Computed tomography of the spine. Sagittal slice 279/512. W/L 1800/400 HU. 10 vertebrae labeled in this scan
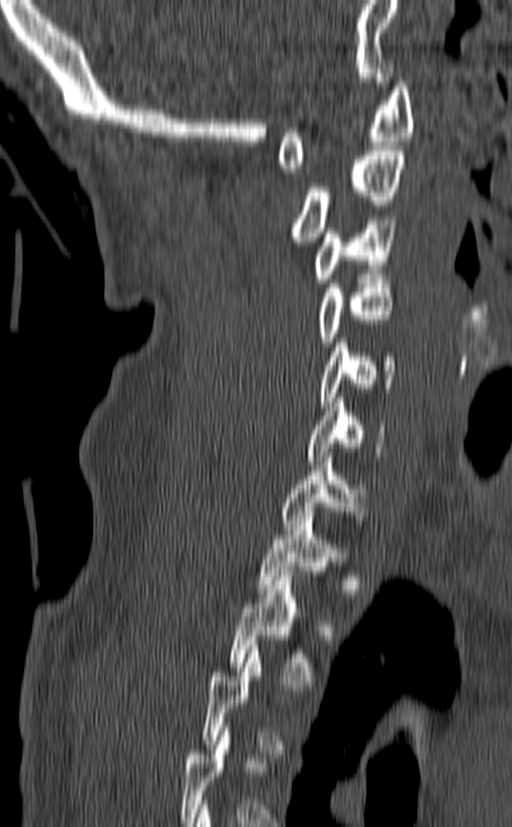
Boxes are (x1, y1, x2, y2) in pixels.
Not every vertebra on this slice has a box: a vertebra is boxed only from the first to the last slice where its cross-section is at least a third of its largest, and this slice is outside that range for at least one of them.
Vertebra bounding boxes:
- T2: (228, 571, 315, 685)
- T1: (257, 512, 349, 593)
- C7: (281, 453, 366, 534)
- C6: (305, 398, 386, 461)
- C5: (319, 338, 397, 406)
- C4: (316, 274, 392, 346)
- C3: (312, 219, 396, 287)
- C2: (290, 146, 406, 246)
- C1: (276, 78, 414, 173)